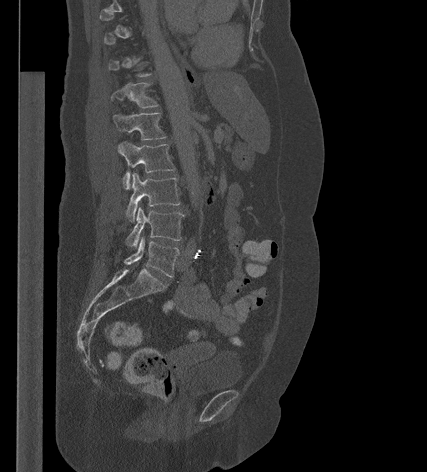
Spine CT. sagittal view. 427x472 px

Boxes are (x1, y1, x2, y2) in pixels.
A vertebra is boxed only from the first to the last slice where its cross-section is at least a third of its largest; slices outside that range leave it without a box.
Vertebra bounding boxes:
- T12: (111, 83, 158, 107)
- L1: (113, 112, 166, 140)
- L2: (118, 141, 175, 189)
- L3: (126, 173, 180, 222)
- L4: (126, 207, 183, 247)
- L5: (124, 237, 179, 276)